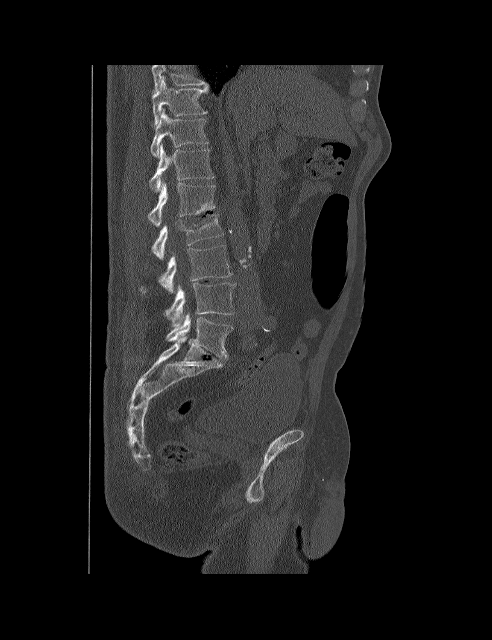 Spine computed tomography. 492 mm wide. sagittal view

Each box given as x1,y1,x2,y2.
This scan's labels start at T10 at the top and end at L5 at the bottom.
Vertebra bounding boxes:
- L5: x1=166, y1=313, x2=233, y2=359
- L4: x1=164, y1=283, x2=235, y2=326
- L3: x1=140, y1=245, x2=232, y2=293
- L2: x1=152, y1=214, x2=223, y2=259
- L1: x1=148, y1=181, x2=215, y2=226
- T12: x1=149, y1=144, x2=214, y2=191
- T11: x1=150, y1=109, x2=208, y2=157
- T10: x1=152, y1=77, x2=209, y2=126